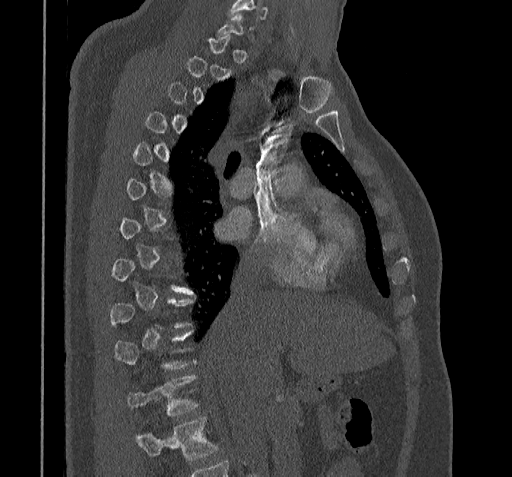
Computed tomography of the spine — sagittal view — 512x477 px
Each box given as x1,y1,x2,y2. Each vertebra is boxed only on the slices from the first to the last where its cross-section reaches a third of its largest, so a slice outside that range leaves it unboxed. Vertebrae that run past the bottom of the scan are left unlabeled. The labeled vertebrae in this slice are: T11 at x1=128, y1=375, x2=199, y2=415, T10 at x1=114, y1=332, x2=194, y2=370, T9 at x1=109, y1=299, x2=194, y2=330.